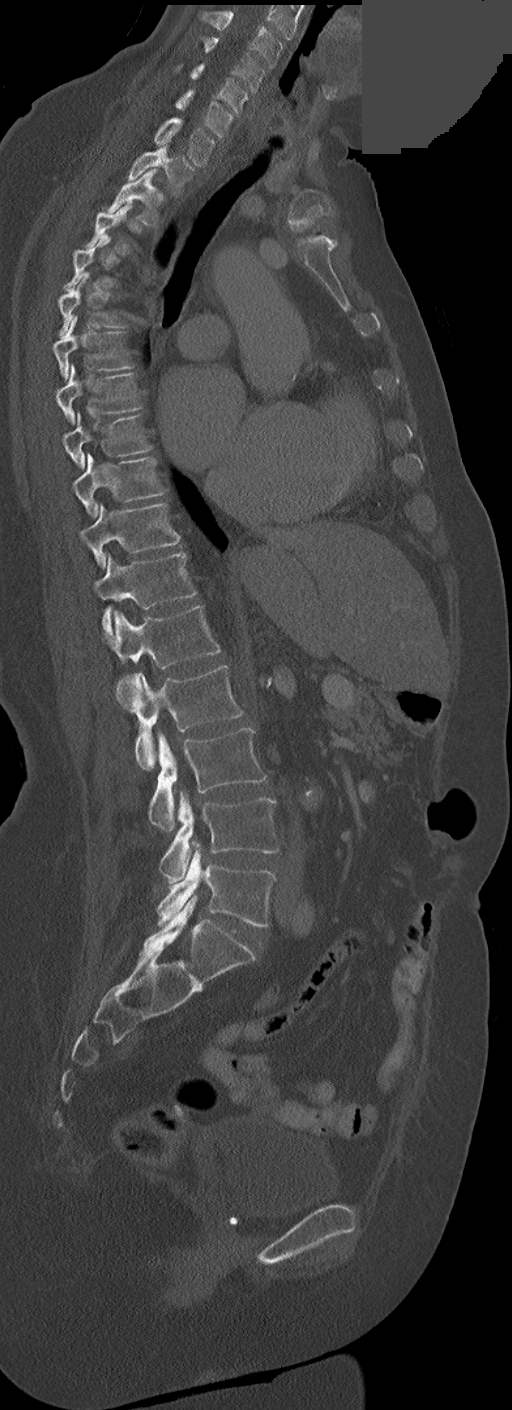

CT spine; sagittal view; 252 mm image width; part of the image has been replaced by a constant value
Box edges are left/top/right/bottom in pixels.
Not every vertebra on this slice has a box: a vertebra is boxed only from the first to the last slice where its cross-section is at least a third of its largest, and this slice is outside that range for at least one of them.
In these labels the thoracic vertebrae end at T11, so L1 follows T11.
| vertebra | x1 | y1 | x2 | y2 |
|---|---|---|---|---|
| C3 | 197 | 10 | 282 | 69 |
| C4 | 204 | 37 | 264 | 91 |
| C5 | 177 | 63 | 247 | 113 |
| C6 | 175 | 90 | 233 | 138 |
| C7 | 154 | 118 | 215 | 166 |
| T1 | 128 | 145 | 193 | 195 |
| T2 | 108 | 169 | 158 | 225 |
| T5 | 57 | 276 | 117 | 336 |
| T6 | 53 | 317 | 132 | 380 |
| T7 | 55 | 364 | 142 | 424 |
| T8 | 61 | 413 | 152 | 469 |
| T9 | 74 | 453 | 166 | 518 |
| T10 | 80 | 502 | 180 | 566 |
| T11 | 94 | 553 | 197 | 637 |
| L1 | 110 | 606 | 221 | 690 |
| L2 | 129 | 665 | 243 | 770 |
| L3 | 149 | 728 | 266 | 830 |
| L4 | 159 | 791 | 278 | 885 |
| L5 | 157 | 842 | 276 | 926 |